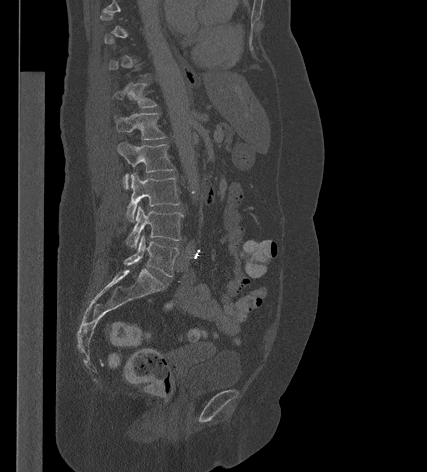
Spine computed tomography · sagittal view · bone-window reconstruction · 427x472 px
Bounding boxes as [x1, y1, x2, y2] in pixel coordinates.
Each vertebra is boxed only on the slices from the first to the last where its cross-section reaches a third of its largest, so a slice outside that range leaves it unboxed.
L5: [124, 236, 179, 276]
L4: [126, 206, 183, 248]
L3: [126, 172, 180, 222]
L2: [117, 141, 174, 188]
L1: [114, 113, 165, 140]
T12: [112, 83, 157, 107]